Computed tomography of the spine · sagittal view
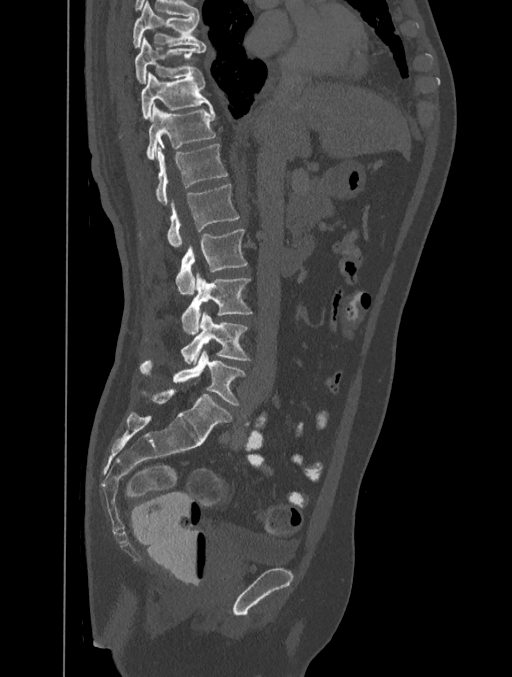

Each vertebra maps to its box as [x1, y1, x2, y2], the pixel coordinates of its top-left and bottom-right corners.
{"vertebrae":{"T8":[133,1,206,47],"T9":[135,37,206,82],"T10":[140,71,212,120],"T11":[145,105,216,160],"T12":[156,144,227,205],"L1":[167,184,239,247],"L2":[175,229,248,294],"L3":[181,273,252,333],"L4":[181,311,250,364],"L5":[139,350,245,405]}}